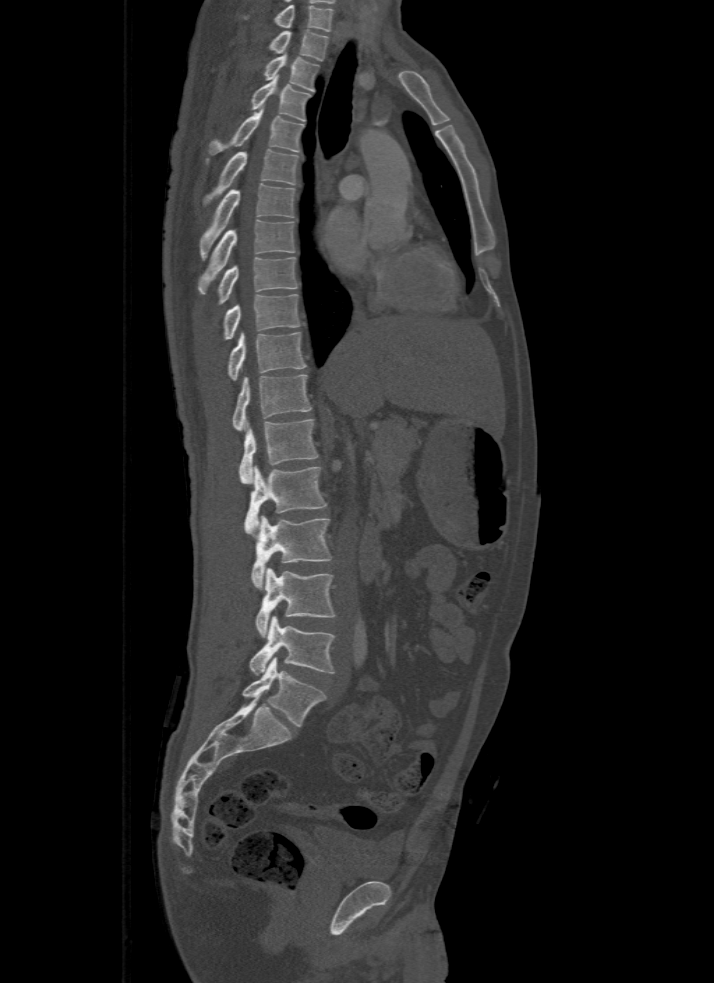
CT; sagittal view; bone-window reconstruction; image 500 mm wide

Labels in this scan begin with T1 at the top and end with L5 at the bottom.
<vertebrae><v name="T1" x1="268" y1="30" x2="330" y2="61"/><v name="T2" x1="262" y1="55" x2="318" y2="91"/><v name="T3" x1="251" y1="75" x2="311" y2="121"/><v name="T4" x1="208" y1="109" x2="305" y2="154"/><v name="T5" x1="202" y1="149" x2="299" y2="205"/><v name="T6" x1="199" y1="183" x2="295" y2="259"/><v name="T7" x1="198" y1="220" x2="295" y2="292"/><v name="T8" x1="218" y1="257" x2="298" y2="304"/><v name="T9" x1="223" y1="293" x2="300" y2="339"/><v name="T10" x1="227" y1="332" x2="306" y2="379"/><v name="T11" x1="232" y1="375" x2="311" y2="430"/><v name="T12" x1="239" y1="419" x2="317" y2="484"/><v name="L1" x1="244" y1="466" x2="325" y2="537"/><v name="L2" x1="251" y1="516" x2="332" y2="589"/><v name="L3" x1="255" y1="568" x2="335" y2="637"/><v name="L4" x1="250" y1="616" x2="335" y2="675"/><v name="L5" x1="243" y1="656" x2="325" y2="727"/></vertebrae>